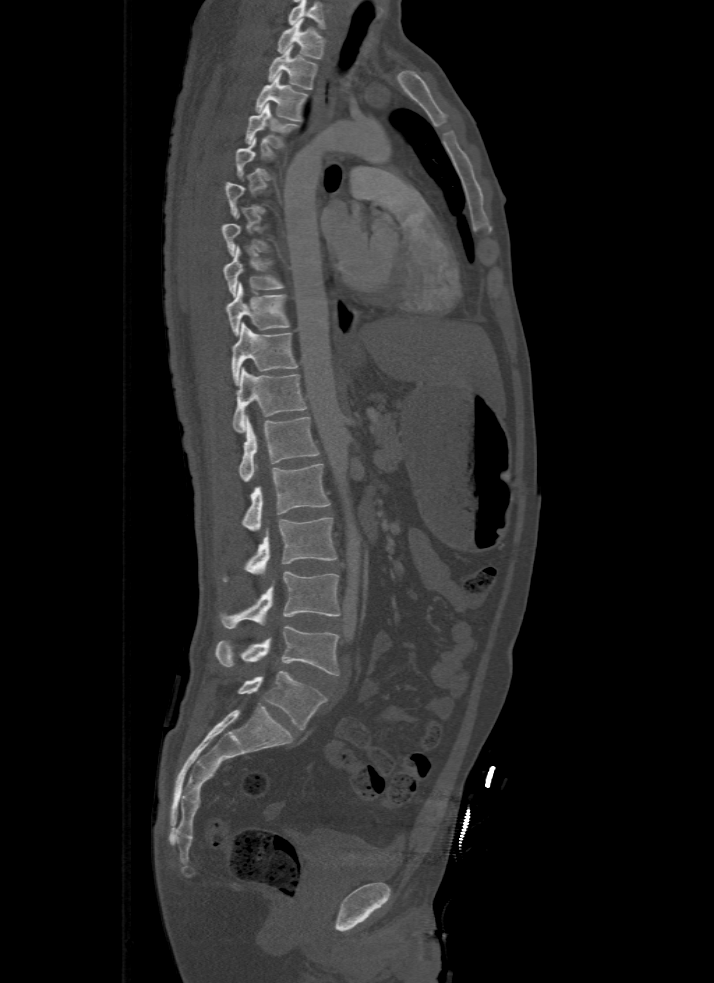
CT spine — sagittal view — 714x983 px

Each box is [x1, y1, x2, y2] in pixels: top-left corner, then bottom-right corner.
A vertebra is boxed only from the first to the last slice where its cross-section is at least a third of its largest; slices outside that range leave it without a box.
Labels in this scan begin with T1 at the top and end with L5 at the bottom.
{"vertebrae":{"T1":[276,18,325,58],"T2":[266,47,317,89],"T3":[254,73,309,121],"T4":[244,103,299,149],"T8":[223,246,285,297],"T9":[227,282,291,335],"T10":[232,323,298,384],"T11":[233,368,307,432],"T12":[239,415,318,481],"L1":[240,463,331,530],"L2":[222,518,337,582],"L3":[219,572,341,628],"L4":[216,626,339,675],"L5":[237,670,328,729]}}